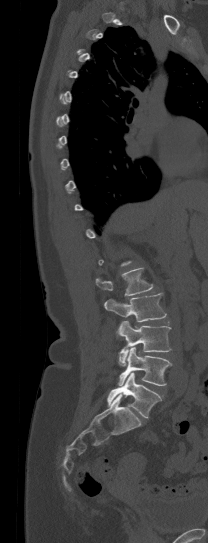
CT · sagittal reformat · image 208 mm wide
Each row gives a vertebra's box as x1, y1, x2, y2 in pixels: top-left corner, then bottom-right corner.
Not every vertebra on this slice has a box: a vertebra is boxed only from the first to the last slice where its cross-section is at least a third of its largest, and this slice is outside that range for at least one of them.
| vertebra | x1 | y1 | x2 | y2 |
|---|---|---|---|---|
| L5 | 107 | 373 | 161 | 418 |
| L4 | 118 | 347 | 171 | 385 |
| L3 | 117 | 321 | 171 | 365 |
| L2 | 104 | 292 | 166 | 321 |
| L1 | 95 | 268 | 152 | 295 |